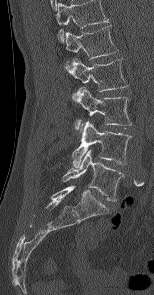
CT spine — sagittal view — the image spans 154 mm across — bone-window reconstruction — 154x295 px
Box values are [left, top, right, bottom] in pixels.
In this scan, the topmost labeled vertebra is L1 and the lowest is L5.
{"vertebrae":{"L5":[63,149,124,201],"L4":[72,120,130,167],"L3":[73,87,131,125],"L2":[64,59,126,91],"L1":[66,26,118,58]}}